Computed tomography of the spine. Sagittal slice 231/512. 23 vertebrae labeled in this scan. some of the image was removed or blocked out with constant pixels
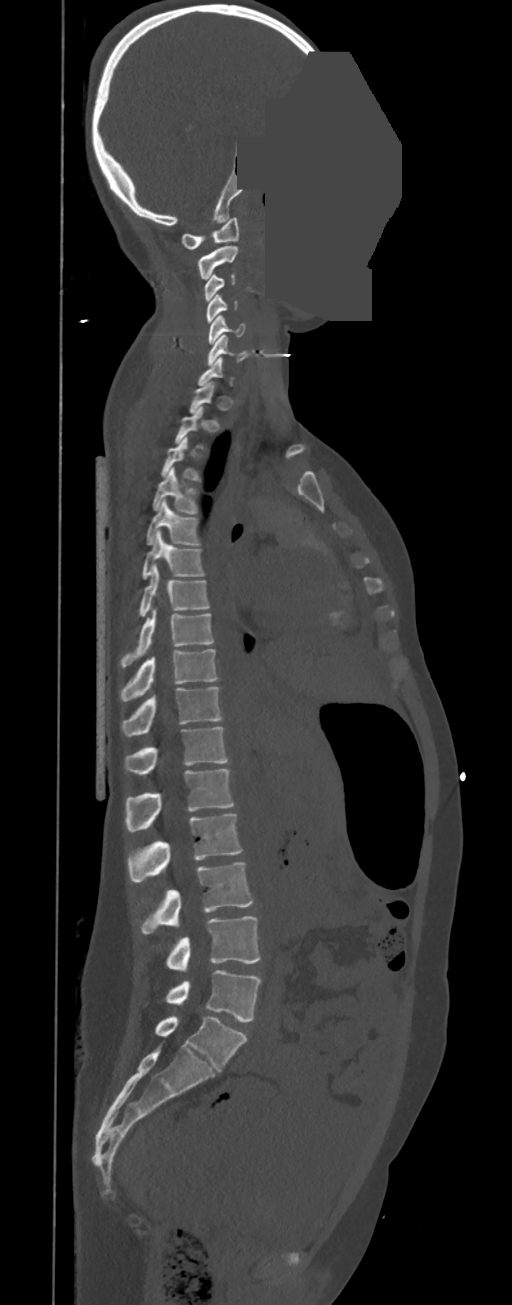

Coordinates as <box>x1,y1,x2,y2</box>. A vertebra gets a box only on the slices from the first to the last where its cross-section is at least a third of its largest; on a slice outside that range it gets none. In these labels the thoracic vertebrae end at T11, so L1 follows T11. 20 vertebrae labeled — C1 at <box>181,217,239,249</box>; C2 at <box>197,246,238,279</box>; C3 at <box>204,274,235,302</box>; C4 at <box>206,294,237,323</box>; C5 at <box>208,315,245,344</box>; C6 at <box>207,334,250,366</box>; T3 at <box>161,437,201,482</box>; T4 at <box>152,466,198,514</box>; T5 at <box>146,499,201,545</box>; T6 at <box>142,531,205,578</box>; T7 at <box>139,566,209,616</box>; T8 at <box>120,608,214,668</box>; T9 at <box>120,649,218,701</box>; T10 at <box>121,687,223,736</box>; T11 at <box>124,727,228,774</box>; L1 at <box>126,769,234,831</box>; L2 at <box>127,814,242,881</box>; L3 at <box>142,862,253,934</box>; L4 at <box>165,916,261,972</box>; L5 at <box>165,970,261,1022</box>.